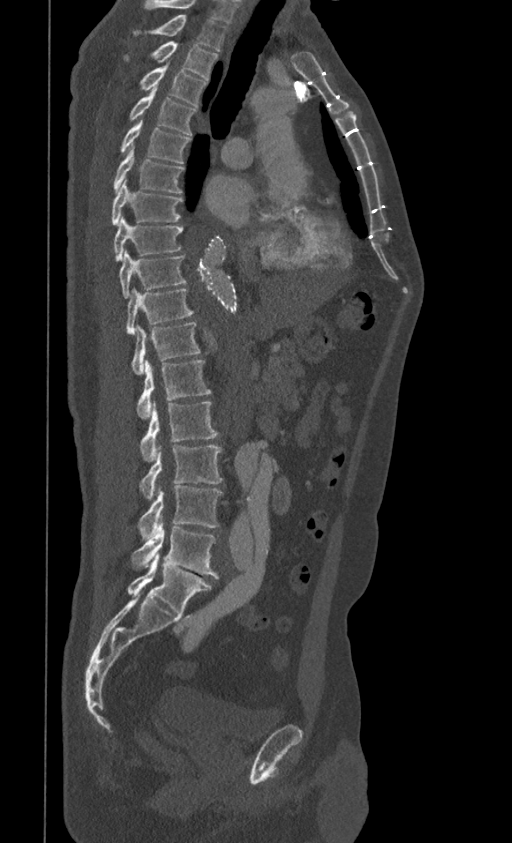 CT. sagittal reformat
This scan's labels start at T1 at the top and end at L5 at the bottom.
<vertebrae><v name="T1" x1="135" y1="14" x2="227" y2="50"/><v name="T2" x1="123" y1="42" x2="218" y2="80"/><v name="T3" x1="141" y1="65" x2="207" y2="106"/><v name="T4" x1="129" y1="91" x2="195" y2="135"/><v name="T5" x1="120" y1="119" x2="190" y2="163"/><v name="T6" x1="114" y1="147" x2="184" y2="193"/><v name="T7" x1="111" y1="180" x2="182" y2="225"/><v name="T8" x1="114" y1="216" x2="182" y2="261"/><v name="T9" x1="119" y1="249" x2="186" y2="298"/><v name="T10" x1="127" y1="288" x2="193" y2="335"/><v name="T11" x1="132" y1="322" x2="200" y2="375"/><v name="T12" x1="136" y1="359" x2="211" y2="418"/><v name="L1" x1="140" y1="401" x2="218" y2="461"/><v name="L2" x1="140" y1="446" x2="222" y2="500"/><v name="L3" x1="138" y1="485" x2="222" y2="539"/><v name="L4" x1="131" y1="520" x2="218" y2="578"/><v name="L5" x1="127" y1="553" x2="212" y2="613"/></vertebrae>